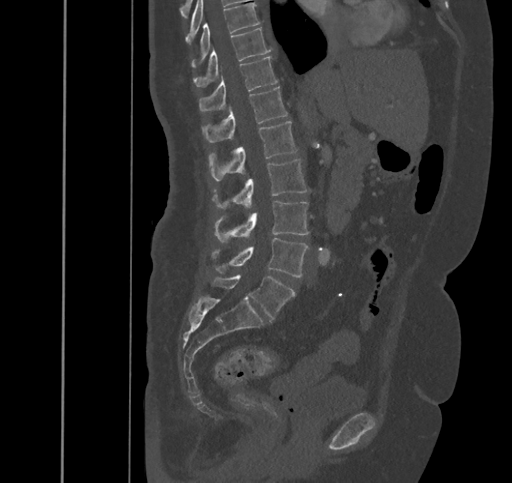 CT spine; sagittal view; Bone window (WL 400, WW 1800). Boxes: x1:y1:x2:y2 in pixels.
Vertebra bounding boxes:
- T9: 191:3:260:66
- T10: 193:28:270:87
- T11: 199:57:277:111
- T12: 201:87:288:142
- L1: 208:121:297:180
- L2: 212:159:307:209
- L3: 214:201:308:242
- L4: 212:237:308:277
- L5: 213:274:295:318